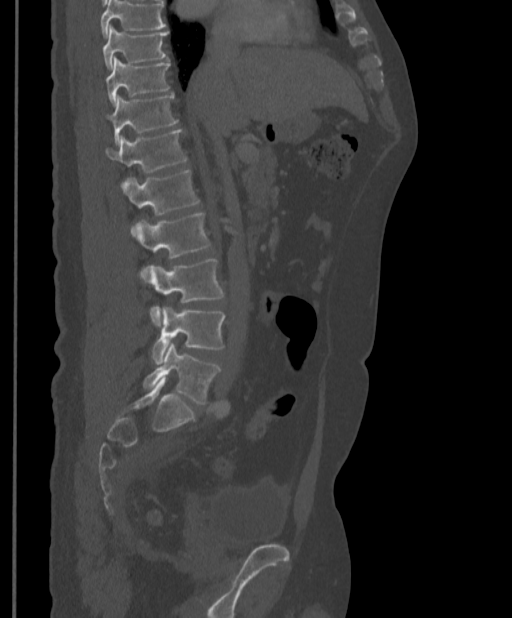
CT — 397 mm wide — sagittal view — 512x618 px

A vertebra cut off by the top edge of the scan is not labeled and has no box.
<vertebrae><v name="L5" x1="143" y1="343" x2="221" y2="404"/><v name="L4" x1="152" y1="307" x2="225" y2="364"/><v name="L3" x1="149" y1="259" x2="223" y2="325"/><v name="L2" x1="134" y1="213" x2="210" y2="258"/><v name="L1" x1="122" y1="170" x2="200" y2="232"/><v name="T12" x1="106" y1="129" x2="187" y2="185"/><v name="T11" x1="107" y1="94" x2="178" y2="143"/><v name="T10" x1="106" y1="57" x2="169" y2="103"/><v name="T9" x1="103" y1="26" x2="168" y2="69"/></vertebrae>